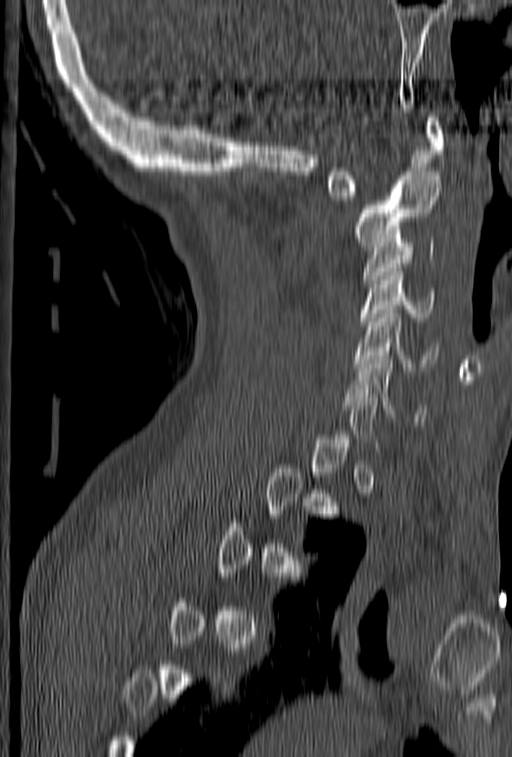
CT, spine; sagittal view; 512x757 px. Columns x1, y1, x2, y2 give each box's top-left and bottom-right pixels.
A vertebra gets a box only on the slices from the first to the last where its cross-section is at least a third of its largest; on a slice outside that range it gets none.
| vertebra | x1 | y1 | x2 | y2 |
|---|---|---|---|---|
| C6 | 346 | 356 | 425 | 421 |
| C5 | 354 | 301 | 439 | 371 |
| C4 | 359 | 264 | 436 | 325 |
| C3 | 363 | 238 | 435 | 283 |
| C2 | 356 | 172 | 442 | 250 |
| C1 | 325 | 113 | 444 | 200 |